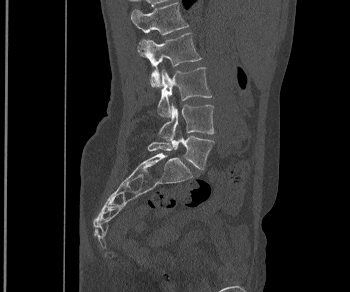
CT, spine. sagittal view. bone-window reconstruction. 350 mm image width
Boxes: x1:y1:x2:y2 in pixels. 5 vertebrae labeled — L1 at 130:2:188:35; L2 at 137:33:201:87; L3 at 157:67:212:117; L4 at 158:103:214:140; L5 at 147:132:214:169.